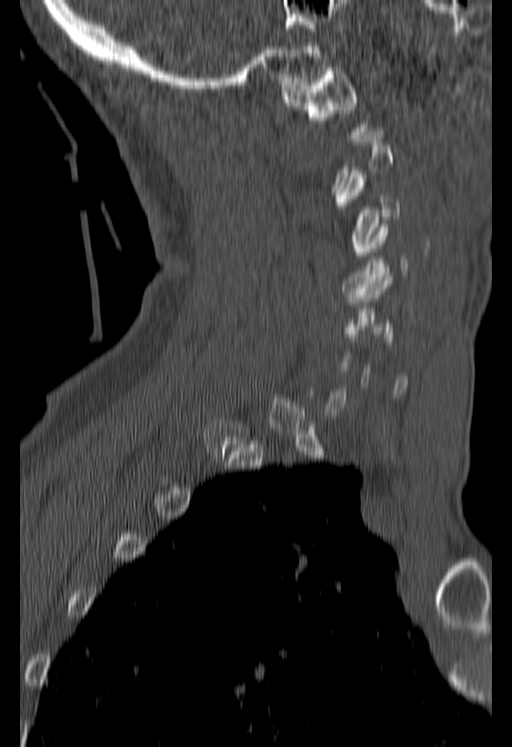

CT · 180 mm across the image · sagittal view. In the table, x1 and y1 are a box's top-left corner and x2 and y2 its bottom-right corner, in pixels.
Not every vertebra on this slice has a box: a vertebra is boxed only from the first to the last slice where its cross-section is at least a third of its largest, and this slice is outside that range for at least one of them.
| vertebra | x1 | y1 | x2 | y2 |
|---|---|---|---|---|
| C1 | 283 | 68 | 369 | 141 |
| C3 | 337 | 171 | 398 | 255 |
| C4 | 342 | 224 | 408 | 301 |